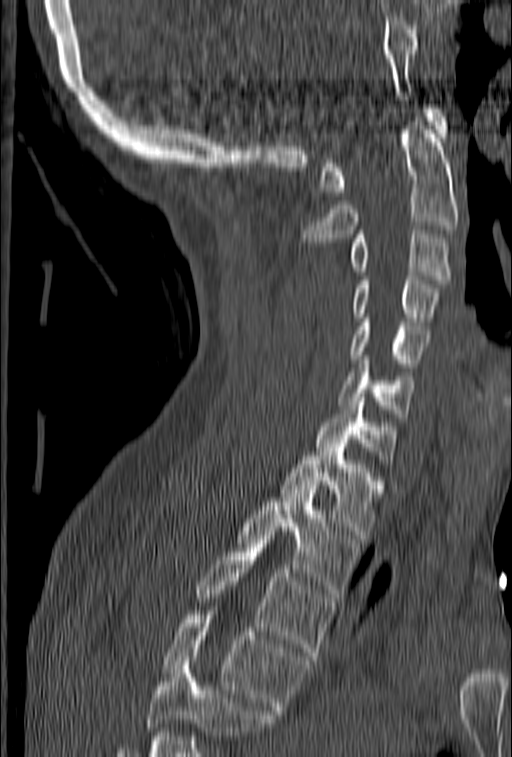

CT spine · image 153 mm wide · sagittal view
Boxes: x1 y1 x2 y2 (pixel coords, space-separated). A vertebra cut off by the bottom edge of the scan is not labeled and has no box. 11 vertebrae labeled — C1 at 319 105 449 196; C2 at 303 117 458 242; C3 at 349 230 451 283; C4 at 353 276 439 321; C5 at 349 314 429 367; C6 at 339 356 416 417; C7 at 316 393 397 463; T1 at 281 448 382 539; T2 at 236 489 359 597; T3 at 195 535 333 660; T4 at 161 611 309 714.